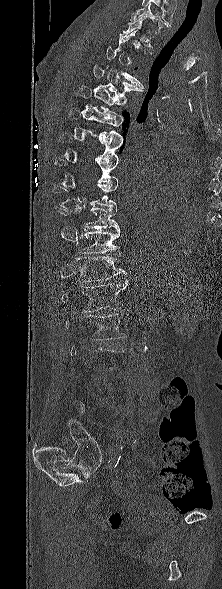

Computed tomography of the spine. image width 222 mm. sagittal view. bone window. 222x589 px. Columns x1, y1, x2, y2 give each box's top-left and bottom-right pixels.
Each vertebra is boxed only on the slices from the first to the last where its cross-section reaches a third of its largest, so a slice outside that range leaves it unboxed.
| vertebra | x1 | y1 | x2 | y2 |
|---|---|---|---|---|
| T3 | 106 | 46 | 144 | 88 |
| T4 | 92 | 64 | 143 | 98 |
| T5 | 76 | 85 | 126 | 115 |
| T6 | 67 | 108 | 123 | 141 |
| T7 | 60 | 132 | 122 | 160 |
| T8 | 54 | 157 | 118 | 184 |
| T9 | 53 | 182 | 117 | 207 |
| T10 | 57 | 207 | 119 | 230 |
| T11 | 79 | 229 | 120 | 255 |
| T12 | 76 | 256 | 127 | 282 |
| L1 | 61 | 279 | 128 | 312 |
| L2 | 66 | 313 | 125 | 340 |